Spine computed tomography; sagittal view; scan covers 10 annotated vertebrae
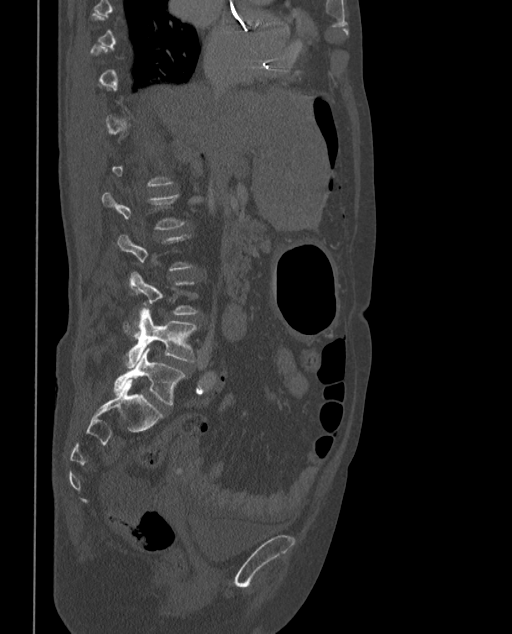
Each box given as x1,y1,x2,y2.
A vertebra is boxed only from the first to the last slice where its cross-section is at least a third of its largest; slices outside that range leave it without a box.
In these labels the spine has an L6, a sixth lumbar vertebra below L5.
| vertebra | x1 | y1 | x2 | y2 |
|---|---|---|---|---|
| L6 | 114 | 348 | 185 | 405 |
| L5 | 125 | 308 | 198 | 367 |
| L2 | 101 | 191 | 185 | 229 |